Spine computed tomography · sagittal view · Bone window (WL 400, WW 1800)
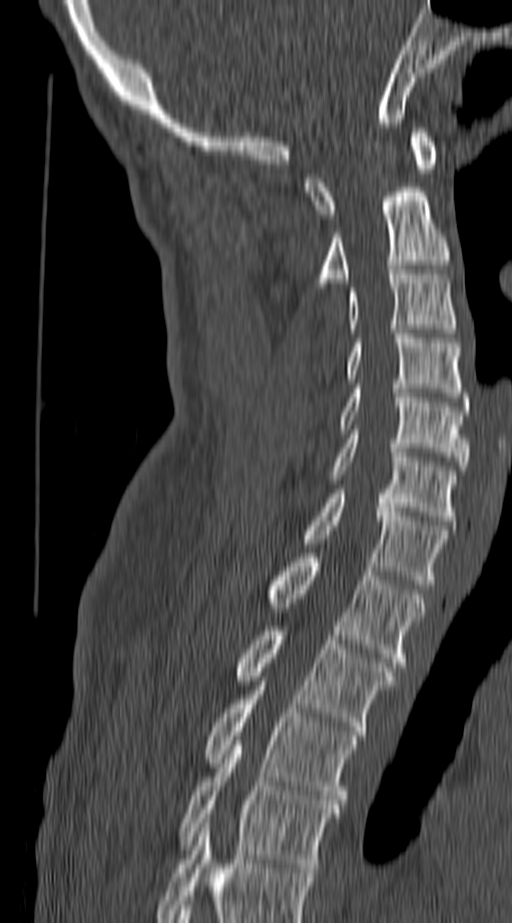
Bounding boxes as [x1, y1, x2, y2] in pixel coordinates.
In this scan, the topmost labeled vertebra is C1 and the lowest is T4.
C1: [305, 128, 439, 218]
C2: [312, 183, 450, 292]
C3: [349, 270, 457, 333]
C4: [345, 334, 468, 401]
C5: [338, 384, 468, 470]
C6: [330, 434, 457, 520]
C7: [301, 489, 450, 584]
T1: [265, 553, 425, 666]
T2: [235, 626, 395, 735]
T3: [202, 686, 359, 804]
T4: [177, 741, 340, 872]